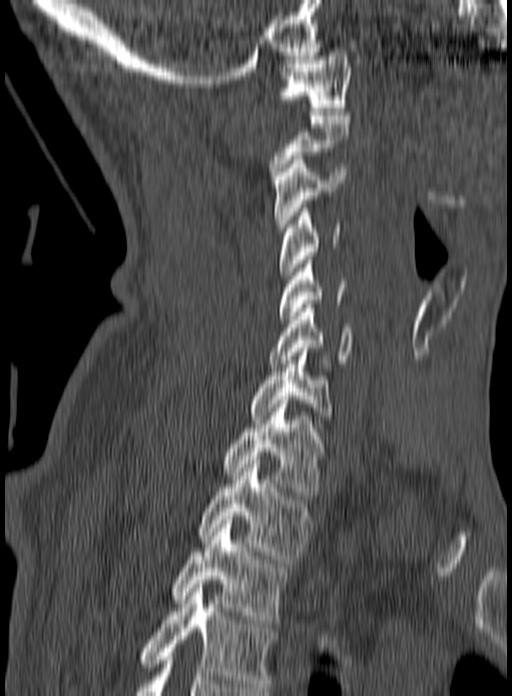
CT. sagittal view. bone window

Box edges are left/top/right/bottom in pixels.
This scan's labels start at C1 at the top and end at T3 at the bottom.
T3: left=171, top=516, right=288, bottom=623
T2: left=196, top=464, right=311, bottom=559
T1: left=222, top=400, right=329, bottom=499
C7: left=251, top=344, right=333, bottom=427
C6: left=268, top=304, right=355, bottom=367
C5: left=278, top=256, right=346, bottom=319
C4: left=280, top=204, right=342, bottom=279
C3: left=273, top=156, right=346, bottom=231
C2: left=268, top=112, right=349, bottom=179
C1: left=280, top=48, right=351, bottom=111